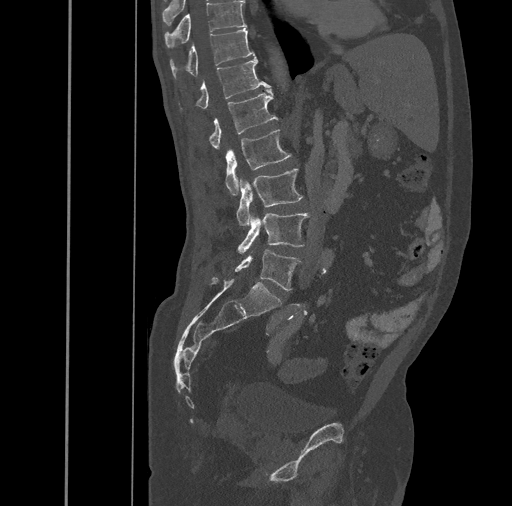 CT spine. image 461 mm wide. sagittal view
Each vertebra maps to its box as [x1, y1, x2, y2], the pixel coordinates of its top-left and bottom-right corners.
{"vertebrae":{"T10":[164,1,246,47],"T11":[170,28,254,76],"T12":[196,57,270,108],"L1":[209,89,278,150],"L2":[226,129,290,195],"L3":[236,168,303,226],"L4":[237,213,308,253],"L5":[235,249,301,290]}}